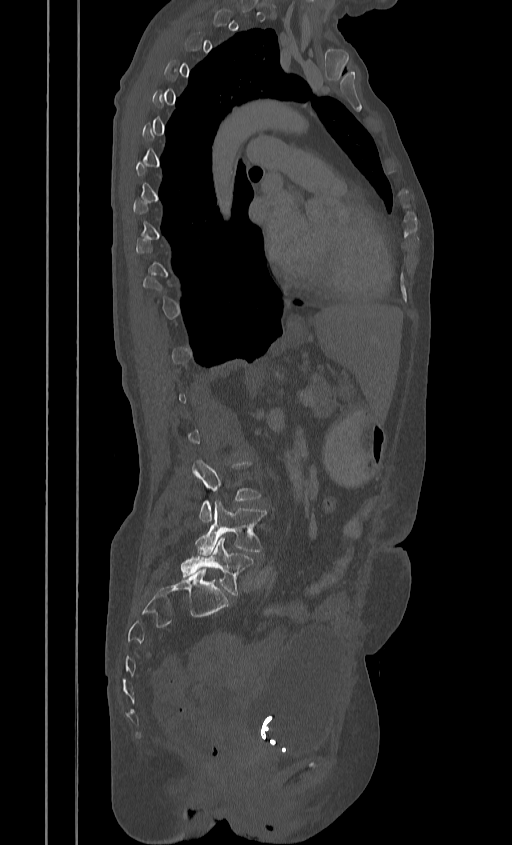

CT; sagittal view; 384 mm image width. In the table, x1 and y1 are a box's top-left corner and x2 and y2 its bottom-right corner, in pixels.
A vertebra is boxed only from the first to the last slice where its cross-section is at least a third of its largest; slices outside that range leave it without a box.
| vertebra | x1 | y1 | x2 | y2 |
|---|---|---|---|---|
| L3 | 192 | 460 | 261 | 522 |
| L4 | 196 | 500 | 265 | 555 |
| L5 | 181 | 536 | 253 | 595 |